Spine computed tomography; Sagittal slice 218/512; 512x793 px
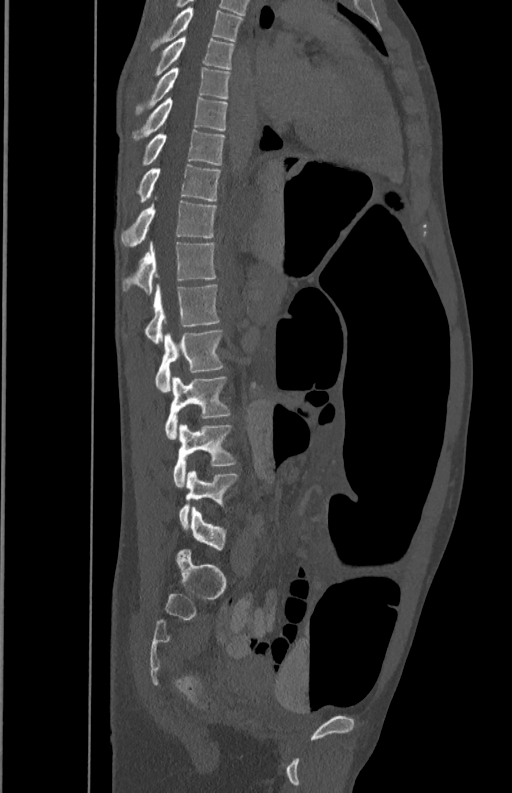 Each box given as x1,y1,x2,y2.
T5: x1=150, y1=7, x2=243, y2=52
T6: x1=153, y1=37, x2=234, y2=75
T7: x1=134, y1=67, x2=230, y2=115
T8: x1=133, y1=97, x2=227, y2=141
T9: x1=143, y1=130, x2=224, y2=165
T10: x1=136, y1=163, x2=220, y2=202
T11: x1=121, y1=196, x2=217, y2=247
T12: x1=123, y1=241, x2=215, y2=294
L1: x1=145, y1=283, x2=220, y2=344
L2: x1=155, y1=330, x2=224, y2=393
L3: x1=165, y1=375, x2=230, y2=439
L4: x1=172, y1=424, x2=236, y2=487
L5: x1=178, y1=469, x2=239, y2=528